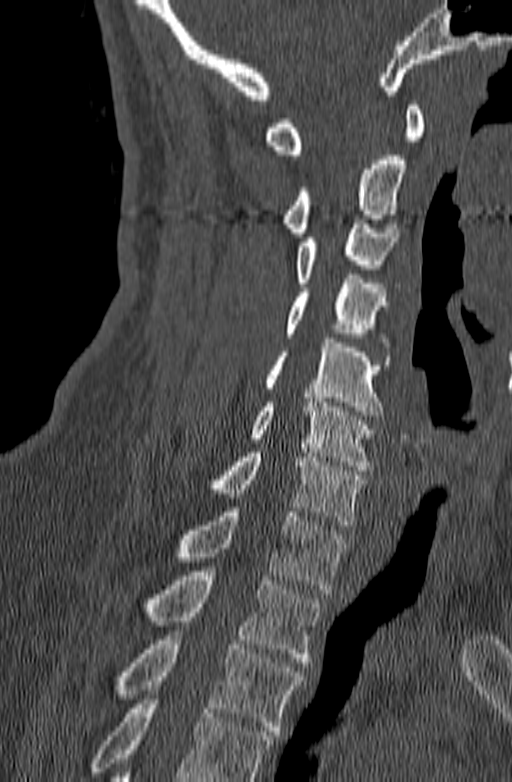 CT spine. sagittal reformat. 512x782 px

Box values are [left, top, right, bottom] in pixels.
A vertebra cut off by the bottom edge of the scan is not labeled and has no box.
{"vertebrae":{"C1":[264,101,424,159],"C2":[279,155,406,237],"C3":[296,219,399,287],"C4":[285,274,390,346],"C5":[265,338,391,420],"C6":[246,398,374,470],"C7":[202,448,362,525],"T1":[173,507,348,593],"T2":[143,571,322,662],"T3":[115,631,305,735]}}